Spine computed tomography · sagittal plane, index 214
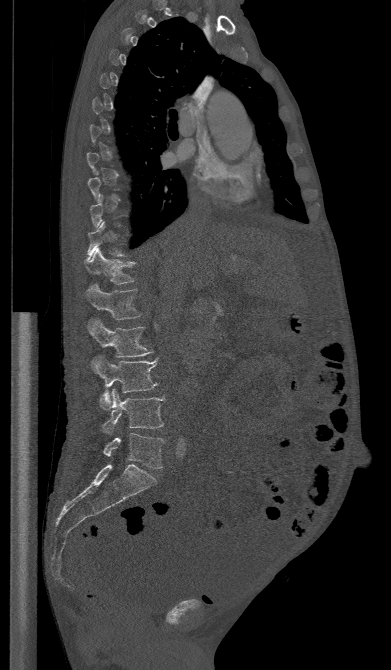
Bounding boxes as [x1, y1, x2, y2] in pixel coordinates.
Not every vertebra on this slice has a box: a vertebra is boxed only from the first to the last slice where its cross-section is at least a third of its largest, and this slice is outside that range for at least one of them.
Vertebra bounding boxes:
- T12: [84, 247, 135, 284]
- L1: [84, 283, 141, 320]
- L2: [87, 319, 152, 357]
- L3: [91, 356, 157, 409]
- L4: [102, 389, 165, 434]
- L5: [103, 433, 164, 468]